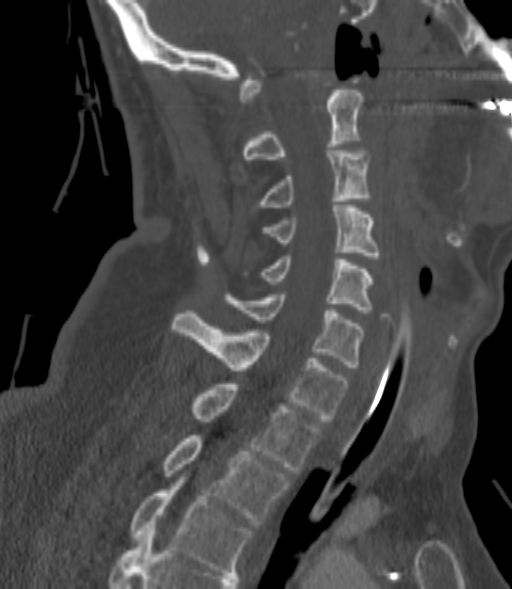

CT, spine. sagittal view. bone window
Boxes: x1:y1:x2:y2 in pixels. Each vertebra is boxed only on the slices from the first to the last where its cross-section reaches a third of its largest, so a slice outside that range leaves it unboxed. The labeled vertebrae in this slice are: T3 at 129:483:251:575, T2 at 162:435:289:524, T1 at 190:384:320:473, C7 at 172:310:348:421, C6 at 224:294:363:367, C5 at 243:256:371:313, C4 at 262:205:379:258, C3 at 257:147:369:210, C2 at 244:90:363:159.